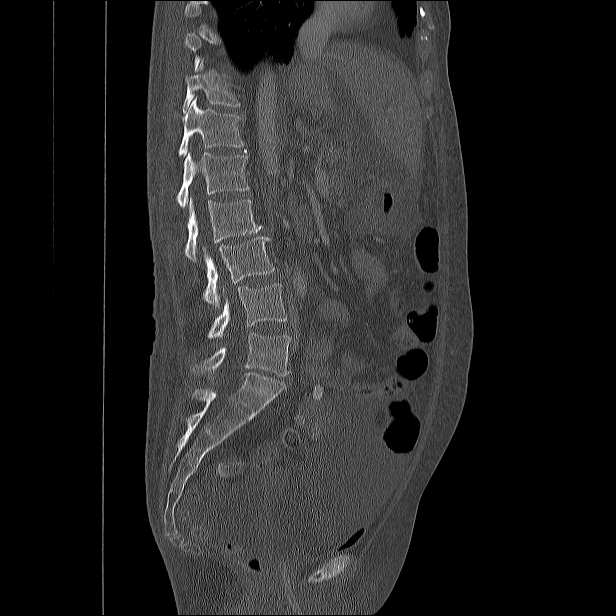

Computed tomography of the spine; sagittal view; 616x616 px

Each box is [x1, y1, x2, y2] in pixels: top-left corner, then bottom-right corner.
Each vertebra is boxed only on the slices from the first to the last where its cross-section reaches a third of its largest, so a slice outside that range leaves it unboxed.
{"vertebrae":{"T11":[183,60,239,111],"T12":[179,97,247,156],"L1":[178,151,249,207],"L2":[185,197,262,261],"L3":[203,236,274,307],"L4":[207,284,286,338],"L5":[202,332,290,376]}}